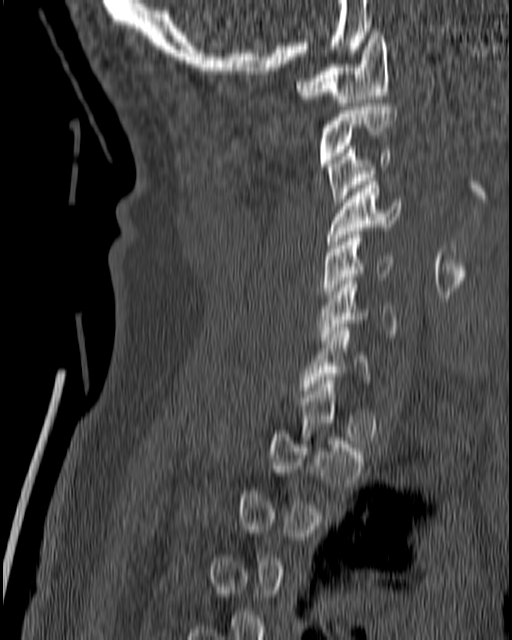

Computed tomography of the spine. 180 mm across the image. sagittal view
Box edges are left/top/right/bottom in pixels. A vertebra gets a box only on the slices from the first to the last where its cross-section is at least a third of its largest; on a slice outside that range it gets none. Vertebrae labeled: C7 at left=300, top=327, right=370, bottom=394, C6 at left=317, top=277, right=397, bottom=344, C5 at left=319, top=235, right=392, bottom=301, C4 at left=325, top=178, right=401, bottom=248, C3 at left=326, top=146, right=390, bottom=205, C2 at left=319, top=103, right=397, bottom=166, C1 at left=296, top=32, right=389, bottom=106.